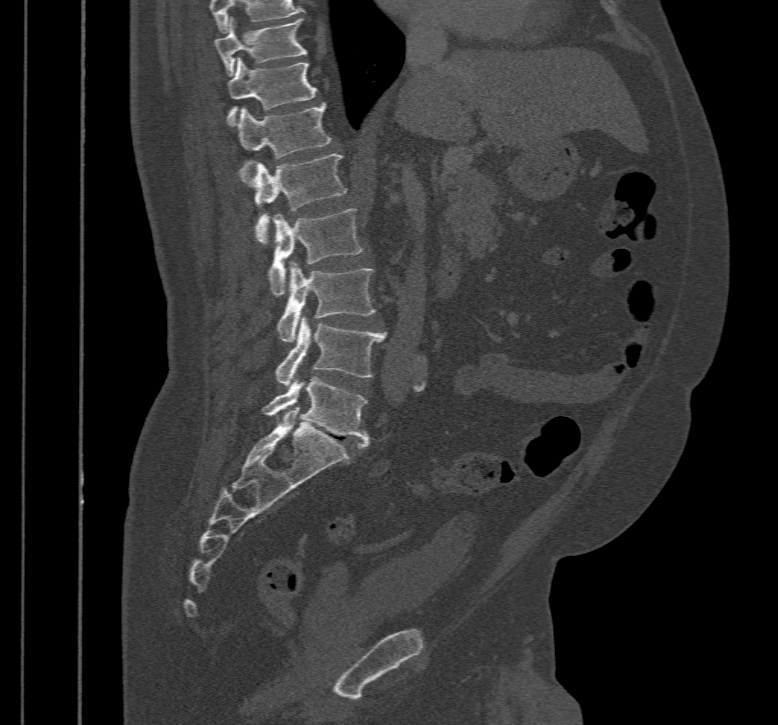
CT spine; sagittal view; Bone window (WL 400, WW 1800)
Boxes: x1:y1:x2:y2 in pixels.
This scan's labels start at T10 at the top and end at L5 at the bottom.
T10: 213:19:308:74
T11: 227:58:317:126
T12: 237:102:330:183
L1: 252:153:346:243
L2: 268:209:362:296
L3: 277:260:376:343
L4: 274:315:388:389
L5: 260:377:370:448